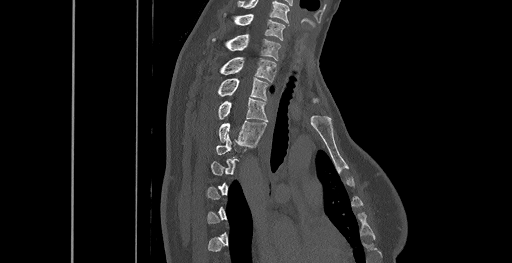
CT. sagittal view. bone-window reconstruction
Not every vertebra on this slice has a box: a vertebra is boxed only from the first to the last slice where its cross-section is at least a third of its largest, and this slice is outside that range for at least one of them.
This scan's labels start at C6 at the top and end at T8 at the bottom.
<vertebrae><v name="C6" x1="224" y1="13" x2="285" y2="40"/><v name="C7" x1="212" y1="34" x2="280" y2="60"/><v name="T1" x1="219" y1="57" x2="275" y2="81"/><v name="T2" x1="217" y1="77" x2="268" y2="100"/><v name="T3" x1="217" y1="97" x2="268" y2="121"/><v name="T4" x1="218" y1="121" x2="265" y2="145"/></vertebrae>